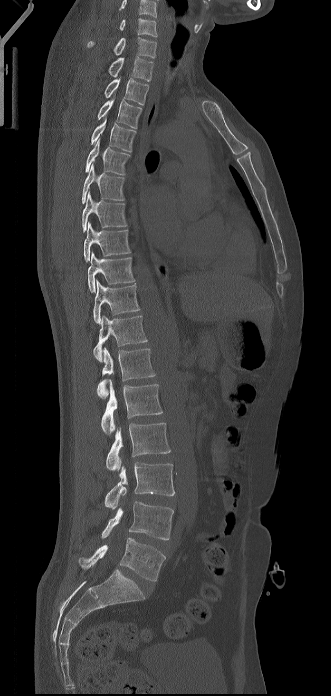

Computed tomography of the spine — sagittal view — bone window — 331x696 px
Boxes are (x1, y1, x2, y2) in pixels.
Labels in this scan begin with C6 at the top and end with L5 at the bottom.
Vertebra bounding boxes:
- C6: (119, 18, 157, 37)
- C7: (87, 37, 156, 58)
- T1: (108, 56, 153, 81)
- T2: (104, 77, 148, 105)
- T3: (97, 98, 142, 128)
- T4: (91, 117, 135, 151)
- T5: (85, 139, 130, 174)
- T6: (82, 161, 125, 203)
- T7: (82, 192, 126, 231)
- T8: (84, 222, 131, 261)
- T9: (88, 252, 134, 292)
- T10: (93, 279, 140, 323)
- T11: (93, 316, 147, 361)
- T12: (97, 347, 155, 398)
- L1: (101, 380, 162, 434)
- L2: (106, 423, 170, 470)
- L3: (104, 462, 174, 509)
- L4: (101, 501, 173, 540)
- L5: (78, 537, 165, 581)